CT · 461 mm image width · sagittal plane, index 279 · W/L 1800/400 HU · scan covers 10 annotated vertebrae
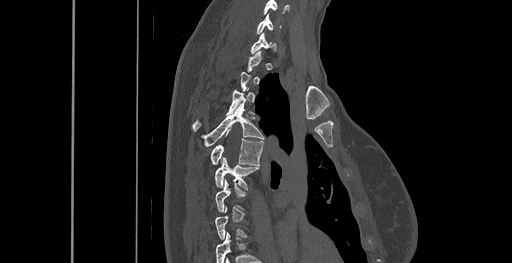 Boxes are (x1, y1, x2, y2) in pixels. Not every vertebra on this slice has a box: a vertebra is boxed only from the first to the last slice where its cross-section is at least a third of its largest, and this slice is outside that range for at least one of them. The highest labeled vertebra in this scan is C6; the lowest is T8. Vertebrae labeled: C6 at (256, 14, 280, 34), T3 at (192, 87, 248, 131), T4 at (203, 103, 264, 146), T5 at (211, 133, 263, 165), T6 at (215, 157, 258, 189).